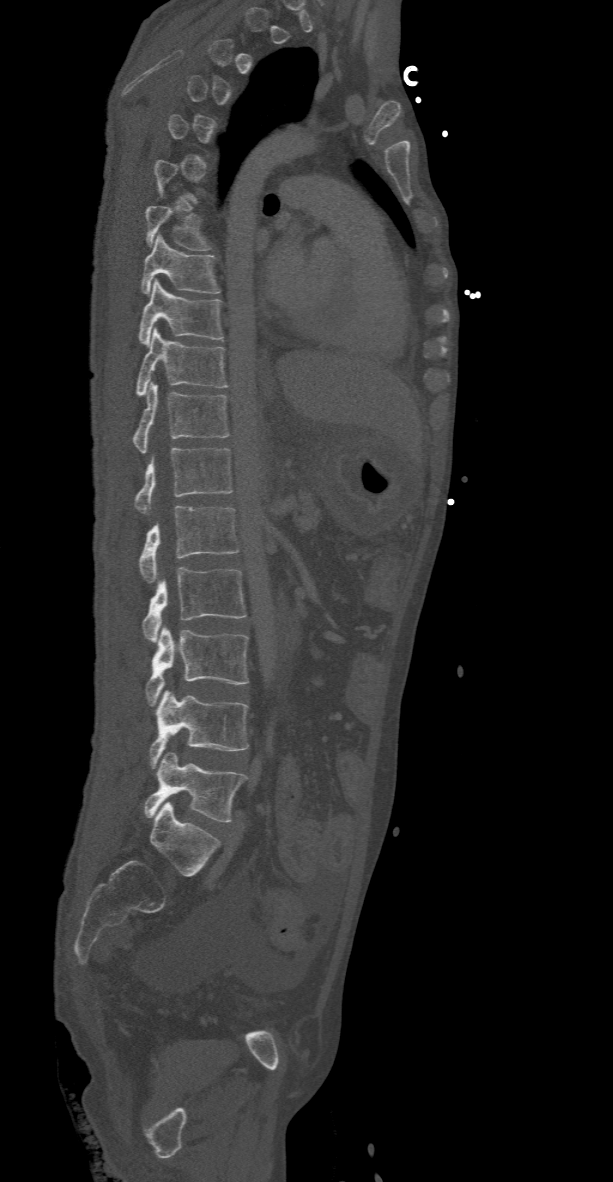
Computed tomography of the spine · sagittal view · 368 mm wide · Bone window (WL 400, WW 1800) · 613x1182 px
Not every vertebra on this slice has a box: a vertebra is boxed only from the first to the last slice where its cross-section is at least a third of its largest, and this slice is outside that range for at least one of them.
<vertebrae><v name="L5" x1="145" y1="752" x2="247" y2="821"/><v name="L4" x1="150" y1="689" x2="247" y2="768"/><v name="L3" x1="145" y1="624" x2="247" y2="705"/><v name="L2" x1="141" y1="567" x2="246" y2="641"/><v name="L1" x1="138" y1="506" x2="239" y2="583"/><v name="T12" x1="134" y1="447" x2="233" y2="513"/><v name="T11" x1="133" y1="382" x2="229" y2="453"/><v name="T10" x1="137" y1="327" x2="225" y2="395"/><v name="T9" x1="138" y1="279" x2="224" y2="346"/><v name="T8" x1="141" y1="234" x2="218" y2="295"/><v name="T7" x1="145" y1="206" x2="209" y2="250"/></vertebrae>